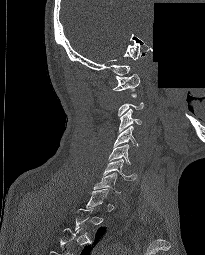

CT, spine · image 205 mm wide · sagittal view · a region of this slice is masked with a uniform fill
Boxes: x1 y1 x2 y2 (pixel coords, space-separated).
A vertebra gets a box only on the slices from the first to the last where its cross-section is at least a third of its largest; on a slice outside that range it gets none.
Vertebra bounding boxes:
- C1: 113 74 139 97
- C3: 118 108 141 132
- C4: 113 125 137 147
- C5: 108 144 130 164
- C6: 103 159 136 180
- C7: 93 172 120 194